Spine CT. sagittal view. W/L 1800/400 HU. 417x683 px. scan covers 17 annotated vertebrae
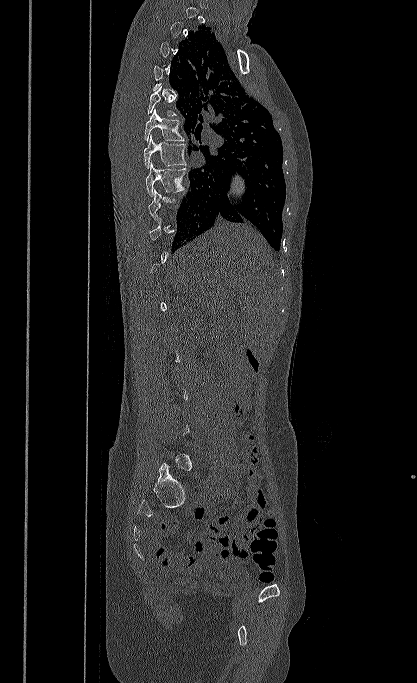 Each vertebra maps to its box as [x1, y1, x2, y2], the pixel coordinates of its top-left and bottom-right corners.
A vertebra is boxed only from the first to the last slice where its cross-section is at least a third of its largest; slices outside that range leave it without a box.
{"vertebrae":{"T6":[144,109,185,142],"T7":[144,134,186,168],"T8":[145,162,187,197]}}